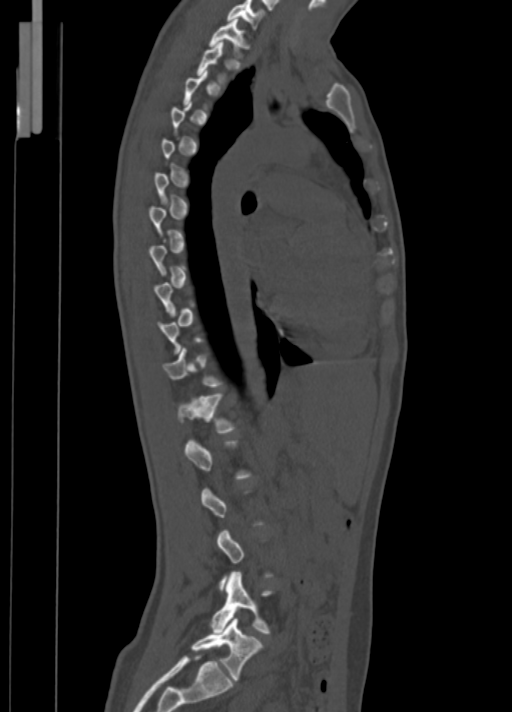
Spine CT; sagittal view; 350 mm across the image; 512x712 px

Box edges are left/top/right/bottom in pixels.
A vertebra gets a box only on the slices from the first to the last where its cross-section is at least a third of its largest; on a slice outside that range it gets none.
C7: left=227, top=0, right=264, bottom=30
T1: left=207, top=19, right=249, bottom=59
T2: left=196, top=42, right=227, bottom=85
T11: left=164, top=347, right=224, bottom=387
T12: left=172, top=394, right=236, bottom=433
L4: left=209, top=572, right=274, bottom=634
L5: left=191, top=617, right=264, bottom=681